CT spine — sagittal reformat — bone window — scan covers 17 annotated vertebrae
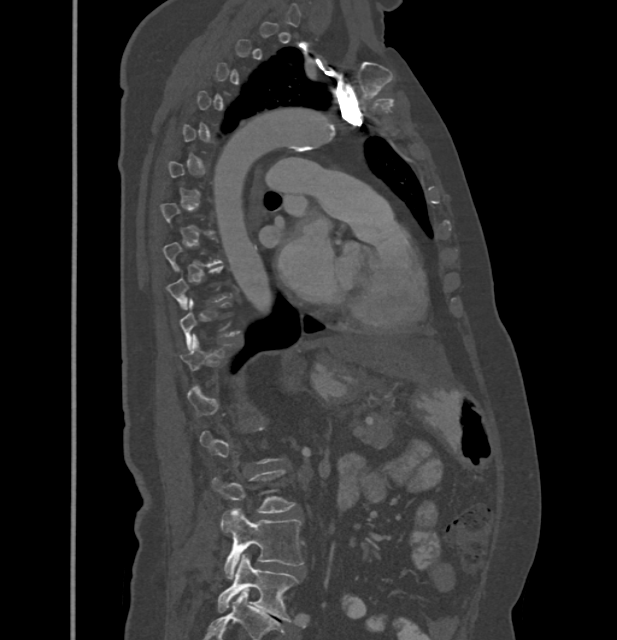

Columns x1, y1, x2, y2 give each box's top-left and bottom-right pixels.
Not every vertebra on this slice has a box: a vertebra is boxed only from the first to the last slice where its cross-section is at least a third of its largest, and this slice is outside that range for at least one of them.
| vertebra | x1 | y1 | x2 | y2 |
|---|---|---|---|---|
| L5 | 218 | 555 | 298 | 622 |
| L4 | 219 | 509 | 303 | 578 |